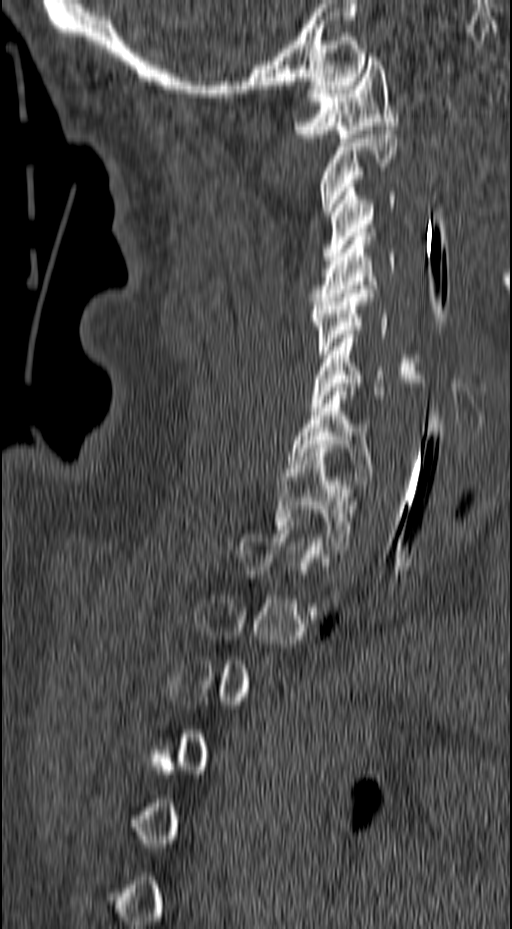 Spine computed tomography; sagittal reformat

Box edges are left/top/right/bottom in pixels.
Not every vertebra on this slice has a box: a vertebra is boxed only from the first to the last slice where its cross-section is at least a third of its largest, and this slice is outside that range for at least one of them.
| vertebra | x1 | y1 | x2 | y2 |
|---|---|---|---|---|
| C1 | 293 | 57 | 398 | 142 |
| C2 | 321 | 130 | 397 | 215 |
| C3 | 322 | 188 | 395 | 260 |
| C4 | 310 | 232 | 395 | 305 |
| C5 | 309 | 289 | 423 | 362 |
| C6 | 311 | 334 | 423 | 407 |
| C7 | 288 | 387 | 377 | 484 |
| T1 | 274 | 448 | 356 | 549 |